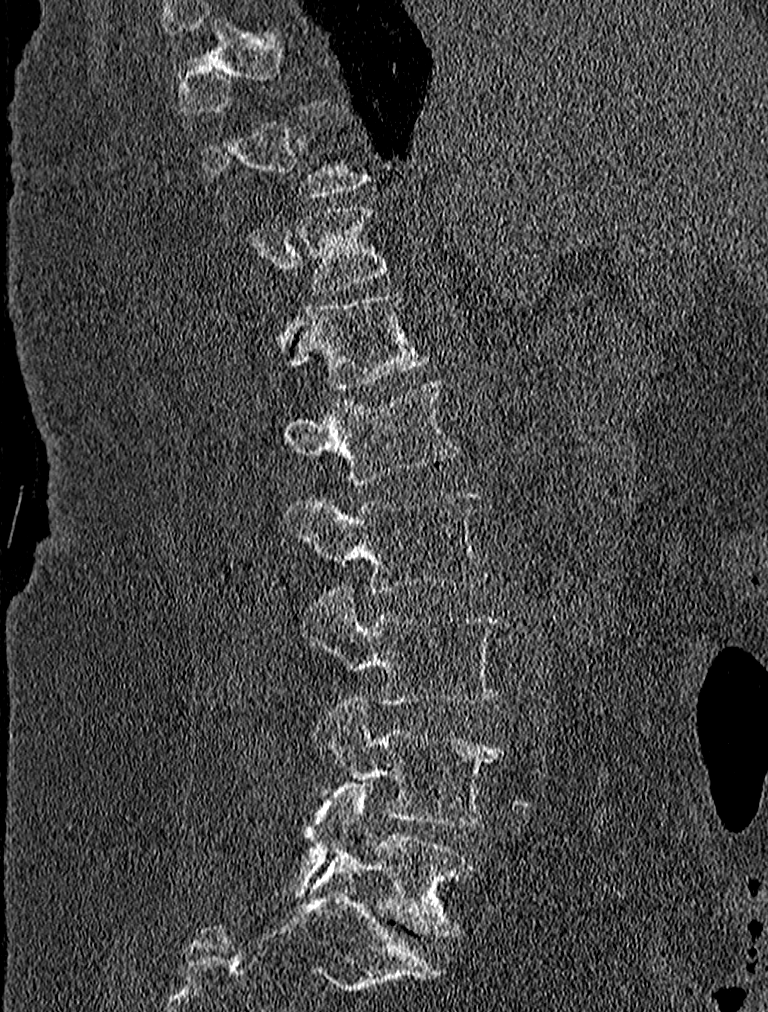

CT — sagittal view — bone window. Box edges are left/top/right/bottom in pixels.
A vertebra is boxed only from the first to the last slice where its cross-section is at least a third of its largest; slices outside that range leave it without a box.
T11: left=296, top=207, right=390, bottom=293
T12: left=266, top=291, right=427, bottom=389
L1: left=283, top=379, right=461, bottom=483
L2: left=283, top=487, right=488, bottom=593
L3: left=302, top=588, right=502, bottom=704
L4: left=313, top=699, right=504, bottom=826
L5: left=293, top=784, right=475, bottom=935